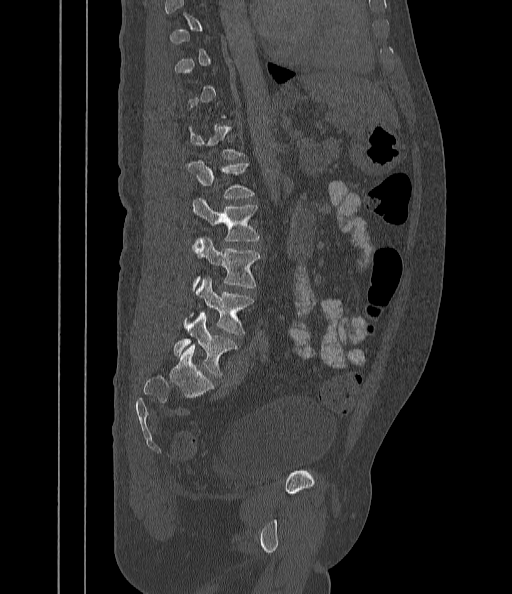 CT — sagittal reformat — the image spans 442 mm across — bone window
Boxes: x1 y1 x2 y2 (pixel coords, space-separated).
A vertebra gets a box only on the slices from the first to the last where its cross-section is at least a third of its largest; on a slice outside that range it gets none.
Vertebra bounding boxes:
- L1: 186 162 254 199
- L2: 192 198 258 241
- L3: 192 238 260 289
- L4: 191 278 253 334
- L5: 174 313 236 376